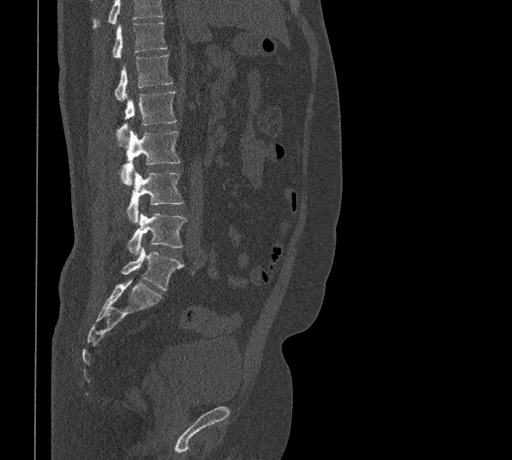

CT, spine · sagittal view · W/L 1800/400 HU · 461 mm across the image
Where the top of the scan cuts through a vertebra, that vertebra gets no label or box.
<vertebrae><v name="T11" x1="112" y1="22" x2="166" y2="58"/><v name="T12" x1="114" y1="55" x2="172" y2="100"/><v name="L1" x1="117" y1="91" x2="176" y2="142"/><v name="L2" x1="121" y1="130" x2="180" y2="185"/><v name="L3" x1="127" y1="172" x2="183" y2="222"/><v name="L4" x1="127" y1="213" x2="186" y2="254"/><v name="L5" x1="121" y1="247" x2="183" y2="290"/></vertebrae>